Computed tomography of the spine — sagittal view — bone window — 12 vertebrae labeled in this scan
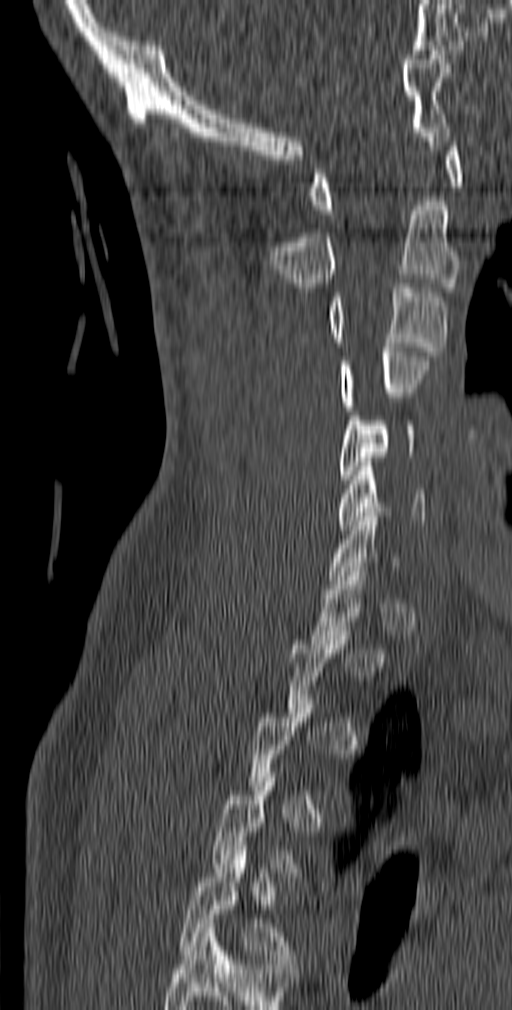
Box edges are left/top/right/bottom in pixels.
A vertebra gets a box only on the slices from the first to the last where its cross-section is at least a third of its largest; on a slice outside that range it gets none.
The highest labeled vertebra in this scan is C1; the lowest is T5.
Vertebra bounding boxes:
- T5: left=179, top=850, right=296, bottom=968
- C6: left=338, top=462, right=426, bottom=529
- C5: left=338, top=411, right=414, bottom=484
- C4: left=338, top=347, right=428, bottom=410
- C3: left=327, top=283, right=447, bottom=356
- C2: left=270, top=201, right=459, bottom=287
- C1: left=309, top=142, right=462, bottom=214